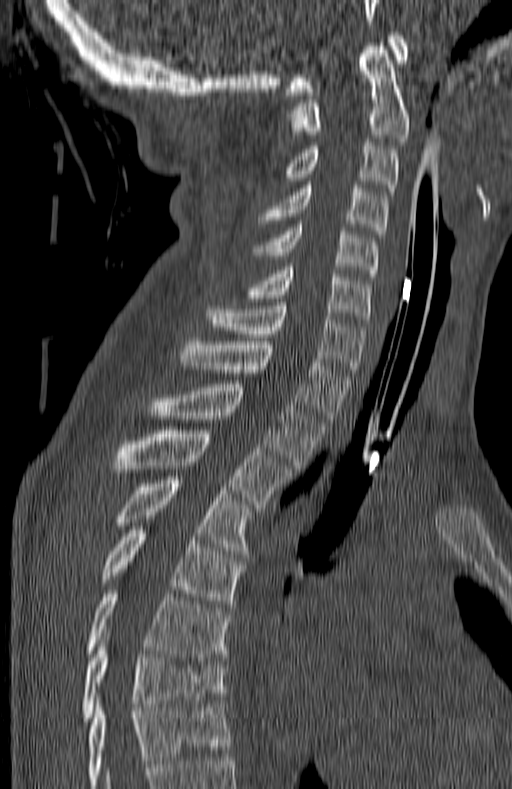 CT spine · sagittal view

Box values are [left, top, right, bottom] in pixels.
This scan's labels start at C1 at the top and end at T7 at the bottom.
{"vertebrae":{"C1":[286,32,408,95],"C2":[285,43,410,141],"C3":[283,142,398,195],"C4":[260,185,387,234],"C5":[254,224,378,276],"C6":[248,267,370,323],"C7":[206,302,364,372],"T1":[180,341,350,422],"T2":[149,384,324,468],"T3":[109,430,290,507],"T4":[112,476,247,554],"T5":[100,526,245,607],"T6":[86,590,230,660],"T7":[81,640,225,724]}}